Computed tomography of the spine. Sagittal slice 251/512. 8 vertebrae labeled in this scan
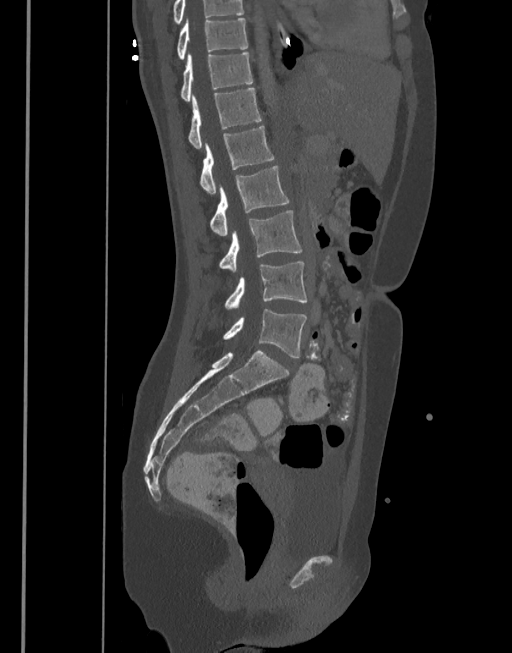
Boxes: x1 y1 x2 y2 (pixel coords, space-separated). Labels in this scan begin with T10 at the top and end with L5 at the bottom. The labeled vertebrae in this slice are: T10 at 176 18 247 59, T11 at 180 53 253 102, T12 at 189 88 261 148, L1 at 199 126 275 193, L2 at 210 165 289 236, L3 at 220 210 302 272, L4 at 225 262 306 309, L5 at 223 309 307 357.